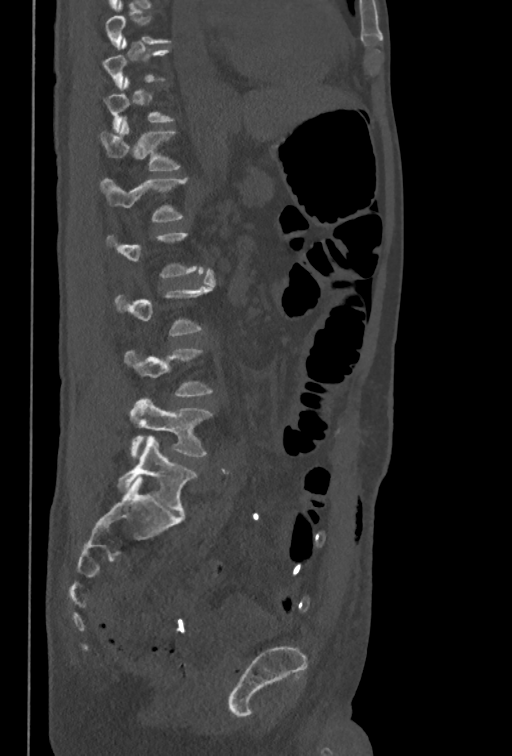

Spine CT — sagittal reformat — 512x756 px
A vertebra gets a box only on the slices from the first to the last where its cross-section is at least a third of its largest; on a slice outside that range it gets none.
<vertebrae><v name="T12" x1="99" y1="117" x2="180" y2="170"/><v name="L1" x1="99" y1="178" x2="187" y2="222"/><v name="L3" x1="114" y1="269" x2="215" y2="335"/><v name="L4" x1="124" y1="348" x2="212" y2="397"/><v name="L5" x1="130" y1="399" x2="212" y2="456"/></vertebrae>